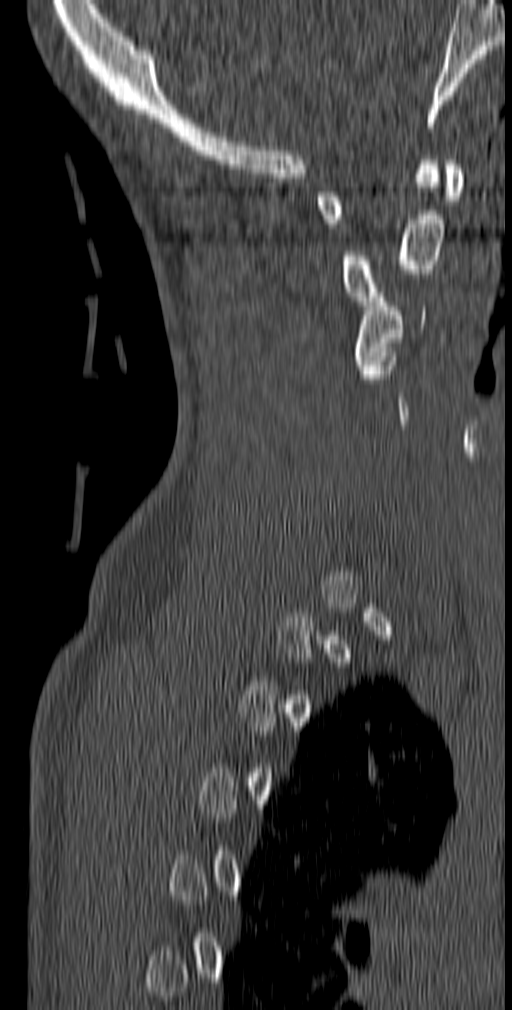

CT, spine. sagittal view. W/L 1800/400 HU
Coordinates as <box>x1,y1,x2,y2</box>.
A vertebra gets a box only on the slices from the first to the last where its cross-section is at least a third of its largest; on a slice outside that range it gets none.
C1: <box>316,160,463,228</box>
C2: <box>341,160,445,305</box>
C3: <box>354,293,425,369</box>